Spine computed tomography · sagittal view · 512x696 px · 10 vertebrae labeled in this scan
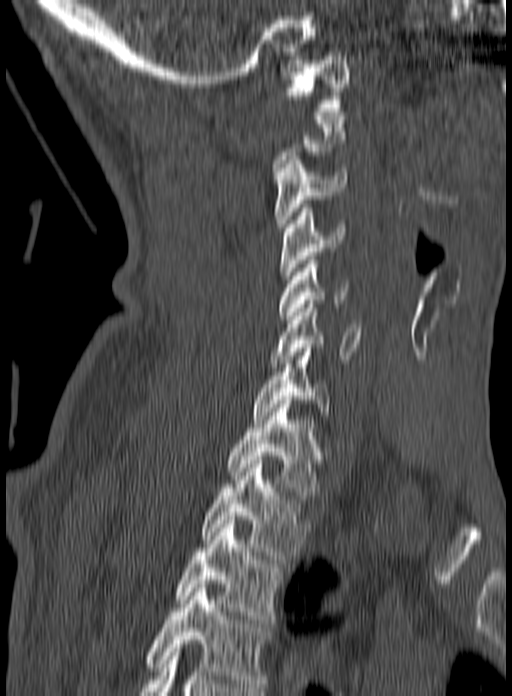

Each box given as x1,y1,x2,y2. A vertebra is boxed only from the first to the last slice where its cross-section is at least a third of its largest; slices outside that range leave it without a box. Labels in this scan begin with C1 at the top and end with T3 at the bottom. The labeled vertebrae in this slice are: T3 at x1=174, y1=516, x2=285, y2=623, T2 at x1=200, y1=464, x2=311, y2=559, T1 at x1=225, y1=400, x2=323, y2=495, C7 at x1=251, y1=344, x2=332, y2=419, C6 at x1=270, y1=300, x2=362, y2=367, C5 at x1=278, y1=256, x2=348, y2=319, C4 at x1=280, y1=204, x2=346, y2=279, C3 at x1=274, y1=156, x2=346, y2=231, C1 at x1=285, y1=64, x2=349, y2=111.